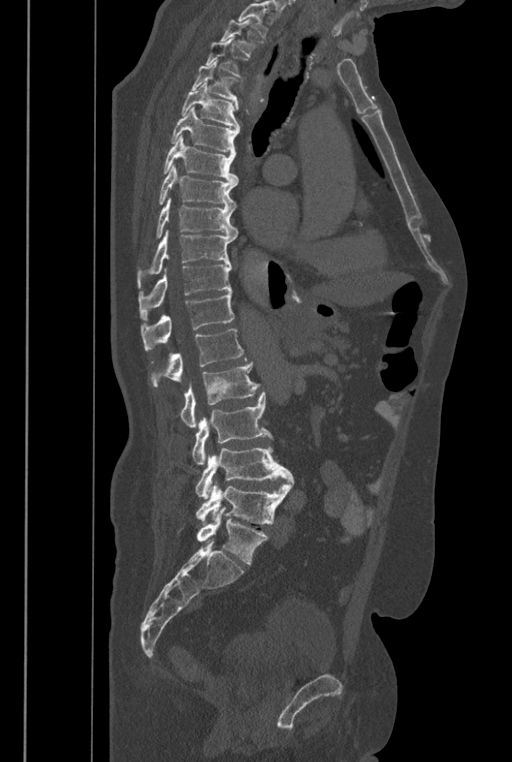 CT, spine. sagittal view. bone-window reconstruction. 512x762 px. the image is 446 mm wide
Boxes are (x1, y1, x2, y2) in pixels.
Vertebrae that run past the top of the scan are left unlabeled.
The labels name a sixth lumbar vertebra for this spine: L6, after L5.
T2: (220, 19, 264, 57)
T3: (205, 37, 248, 81)
T4: (190, 60, 238, 111)
T5: (181, 82, 240, 129)
T6: (171, 106, 239, 153)
T7: (163, 135, 238, 183)
T8: (158, 164, 238, 208)
T9: (156, 198, 237, 238)
T10: (137, 230, 234, 288)
T11: (139, 264, 231, 320)
T12: (141, 291, 234, 350)
L1: (150, 329, 247, 386)
L2: (180, 362, 259, 428)
L3: (192, 393, 274, 464)
L4: (195, 445, 293, 500)
L5: (196, 482, 292, 525)
L6: (196, 507, 268, 564)